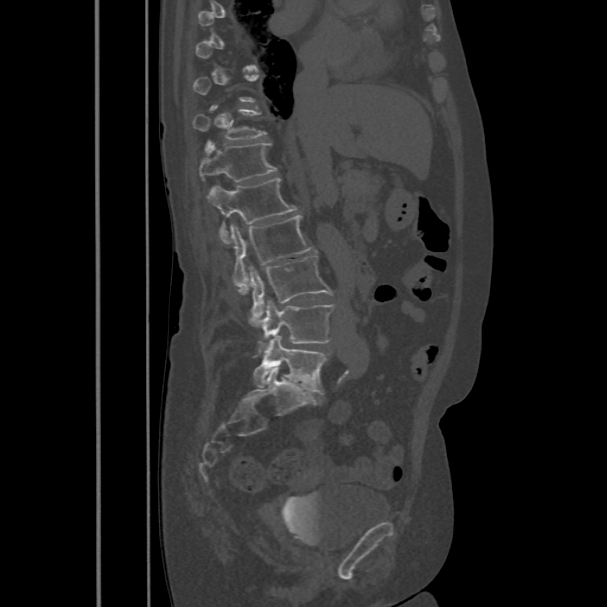
CT spine. sagittal reformat. bone window. 607x607 px
Box edges are left/top/right/bottom in pixels.
Each vertebra is boxed only on the slices from the first to the last where its cross-section reaches a third of its largest, so a slice outside that range leaves it unboxed.
L5: left=254, top=335, right=326, bottom=394
L4: left=256, top=300, right=334, bottom=356
L3: left=249, top=255, right=332, bottom=326
L2: left=229, top=216, right=312, bottom=289
L1: left=208, top=177, right=298, bottom=244
T12: left=199, top=141, right=277, bottom=181
T11: left=192, top=108, right=266, bottom=150